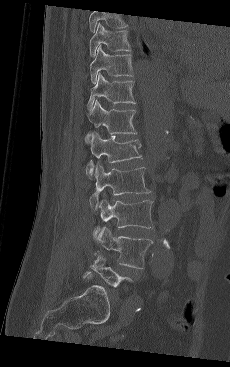
Spine computed tomography · sagittal view · 230x367 px

Boxes: x1:y1:x2:y2 in pixels.
Labels in this scan begin with T9 at the top and end with L5 at the bottom.
T9: 89:22:131:57
T10: 89:45:133:83
T11: 87:73:135:110
T12: 85:99:137:142
L1: 85:131:141:178
L2: 89:162:150:210
L3: 93:198:153:238
L4: 96:226:152:269
L5: 83:255:132:287